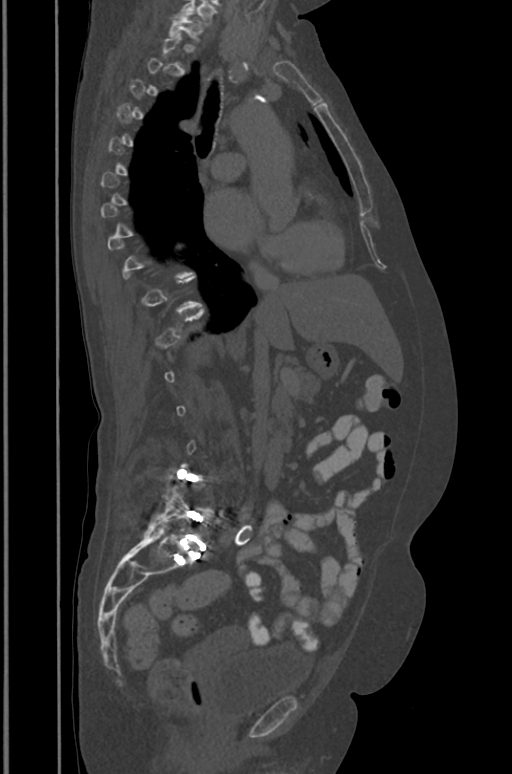 Computed tomography of the spine — sagittal view

Boxes below are [x1, y1, x2, y2] in pixels.
A vertebra is boxed only from the first to the last slice where its cross-section is at least a third of its largest; slices outside that range leave it without a box.
{"vertebrae":{"T1":[169,13,203,42],"L5":[148,485,211,547]}}